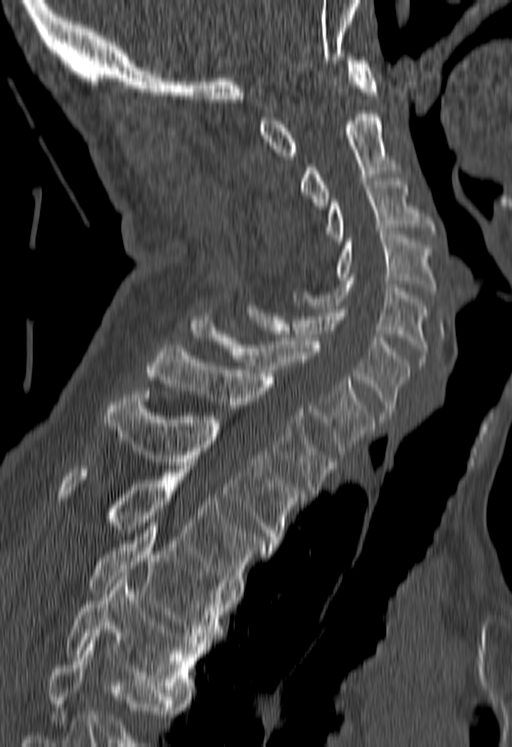 Computed tomography of the spine; sagittal view; image width 180 mm; W/L 1800/400 HU
Boxes: x1 y1 x2 y2 (pixel coords, space-separated). Where the bottom of the scan cuts through a vertebra, that vertebra gets no label or box. 12 vertebrae labeled — T5 at 66 572 205 696; T4 at 86 526 230 643; T3 at 55 466 273 593; T2 at 103 391 304 547; T1 at 146 345 336 493; C7 at 191 320 373 454; C6 at 245 302 410 419; C5 at 293 277 427 365; C4 at 337 231 435 294; C3 at 328 178 432 241; C2 at 302 114 395 209; C1 at 260 57 377 159.